CT. sagittal view. scan covers 19 annotated vertebrae
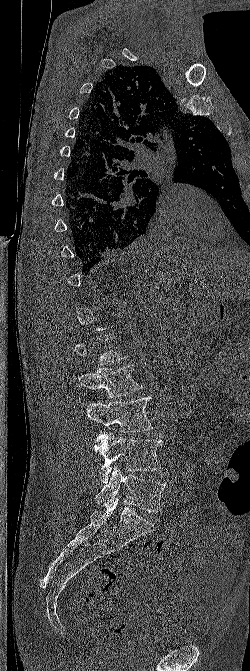 Coordinates as <box>x1,y1,x2,y2</box>.
Not every vertebra on this slice has a box: a vertebra is boxed only from the first to the last slice where its cross-section is at least a third of its largest, and this slice is outside that range for at least one of them.
Vertebra bounding boxes:
- L2: <box>72,364,142,397</box>
- L3: <box>86,396,152,432</box>
- L4: <box>94,432,162,483</box>
- L5: <box>95,466,166,511</box>